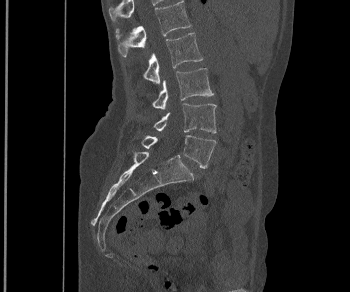 Computed tomography of the spine · sagittal view · W/L 1800/400 HU

Boxes: x1:y1:x2:y2 in pixels.
Vertebra bounding boxes:
- L1: 115:0:191:57
- L2: 143:33:202:83
- L3: 152:68:213:109
- L4: 154:103:216:133
- L5: 142:135:216:168